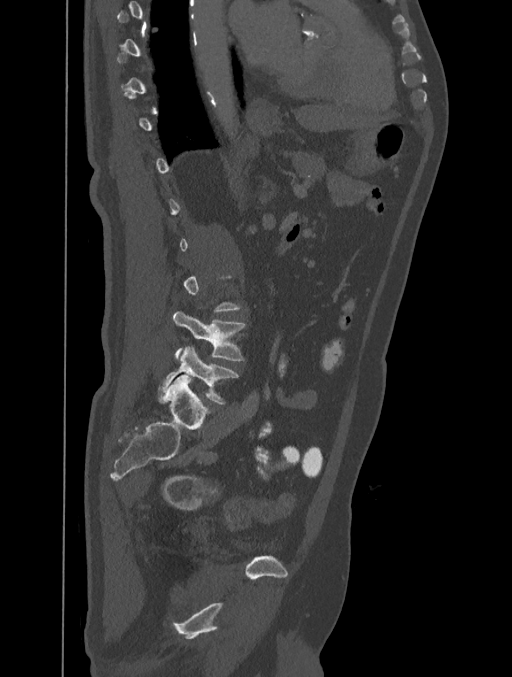 Computed tomography of the spine · sagittal view · 401 mm across the image
Boxes: x1:y1:x2:y2 in pixels.
Each vertebra is boxed only on the slices from the first to the last where its cross-section reaches a third of its largest, so a slice outside that range leaves it unboxed.
L4: 174:311:245:361
L5: 158:346:238:403